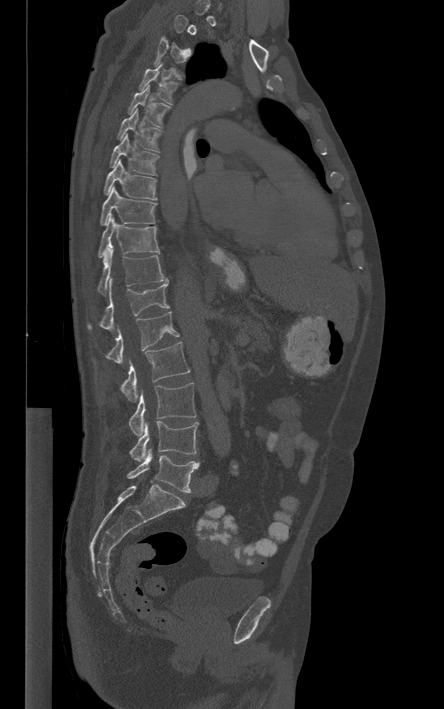 CT, spine. sagittal view
In the table, x1 and y1 are a box's top-left corner and x2 and y2 its bottom-right corner, in pixels.
Not every vertebra on this slice has a box: a vertebra is boxed only from the first to the last slice where its cross-section is at least a third of its largest, and this slice is outside that range for at least one of them.
| vertebra | x1 | y1 | x2 | y2 |
|---|---|---|---|---|
| T4 | 139 | 63 | 179 | 104 |
| T5 | 127 | 85 | 170 | 127 |
| T6 | 117 | 109 | 162 | 152 |
| T7 | 110 | 133 | 158 | 175 |
| T8 | 104 | 159 | 156 | 199 |
| T9 | 100 | 186 | 156 | 224 |
| T10 | 98 | 217 | 159 | 257 |
| T11 | 96 | 249 | 167 | 294 |
| T12 | 87 | 277 | 169 | 330 |
| L1 | 93 | 311 | 179 | 363 |
| L2 | 120 | 341 | 189 | 401 |
| L3 | 128 | 382 | 196 | 436 |
| L4 | 129 | 421 | 198 | 461 |
| L5 | 127 | 450 | 198 | 492 |